Spine CT; sagittal view; bone window; 208x543 px; the image spans 208 mm across
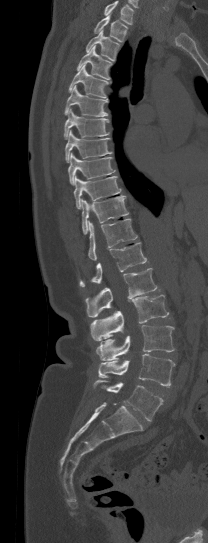

Each box given as x1,y1,x2,y2. No box is given to a vertebra that the top edge of the scan cuts off. The labeled vertebrae in this slice are: T1 at x1=94, y1=15, x2=127, y2=41, T2 at x1=86, y1=30, x2=119, y2=60, T3 at x1=76, y1=45, x2=111, y2=80, T4 at x1=69, y1=65, x2=108, y2=97, T5 at x1=64, y1=85, x2=108, y2=116, T6 at x1=64, y1=109, x2=110, y2=139, T7 at x1=65, y1=130, x2=111, y2=162, T8 at x1=68, y1=153, x2=114, y2=185, T9 at x1=73, y1=176, x2=121, y2=209, T10 at x1=82, y1=196, x2=128, y2=234, T11 at x1=88, y1=219, x2=137, y2=260, T12 at x1=79, y1=242, x2=146, y2=286, L1 at x1=85, y1=268, x2=157, y2=316, L2 at x1=90, y1=294, x2=168, y2=340, L3 at x1=96, y1=325, x2=174, y2=360, L4 at x1=98, y1=353, x2=176, y2=387, L5 at x1=94, y1=379, x2=162, y2=420.